CT spine. sagittal reformat. W/L 1800/400 HU
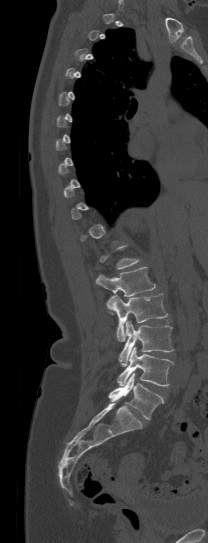

Boxes below are [x1, y1, x2, y2] in pixels.
A vertebra is boxed only from the first to the last slice where its cross-section is at least a third of its largest; slices outside that range leave it without a box.
{"vertebrae":{"L1":[96,267,155,296],"L2":[106,293,167,341],"L3":[118,321,173,366],"L4":[116,347,173,386],"L5":[108,373,164,419]}}